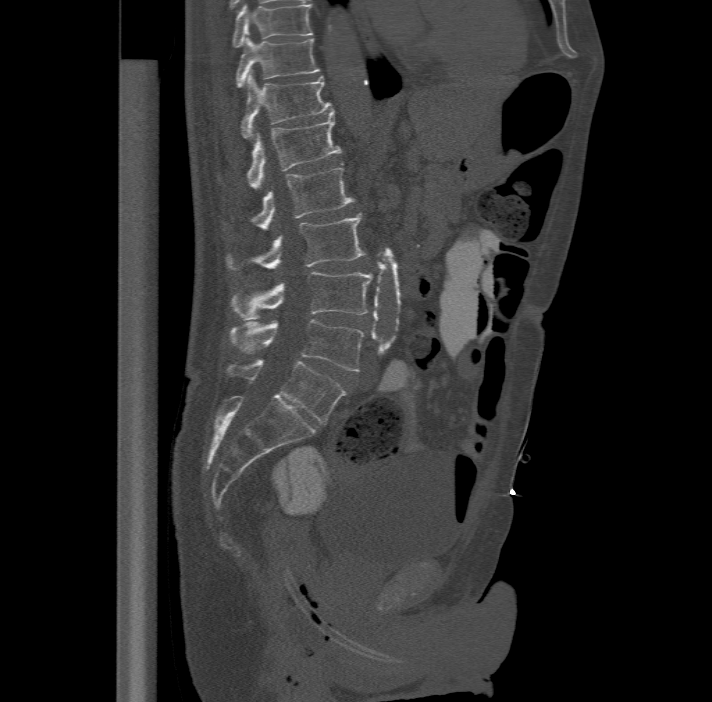
Spine computed tomography. sagittal view. 712x702 px
Bounding boxes as [x1, y1, x2, y2] in pixel coordinates.
This scan's labels start at T11 at the top and end at L6 at the bottom.
In these labels the spine has an L6, a sixth lumbar vertebra below L5.
Vertebra bounding boxes:
- T11: [236, 36, 320, 85]
- T12: [241, 72, 333, 136]
- L1: [246, 112, 341, 187]
- L2: [250, 167, 354, 229]
- L3: [225, 212, 365, 269]
- L4: [229, 271, 372, 318]
- L5: [229, 318, 363, 371]
- L6: [227, 359, 345, 422]